Computed tomography of the spine. sagittal view
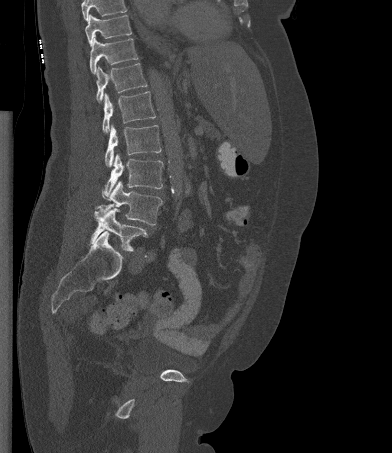 Coordinates as <box>x1,y1,x2,y2</box>.
Where the top of the scan cuts through a vertebra, that vertebra gets no label or box.
Vertebra bounding boxes:
- T10: <box>85,14,132,46</box>
- T11: <box>90,36,138,74</box>
- T12: <box>96,63,147,102</box>
- L1: <box>102,91,155,133</box>
- L2: <box>105,124,161,167</box>
- L3: <box>102,154,163,199</box>
- L4: <box>97,181,162,225</box>
- L5: <box>91,208,147,251</box>